Spine CT · sagittal plane, index 104 · 182 mm wide · scan covers 9 annotated vertebrae
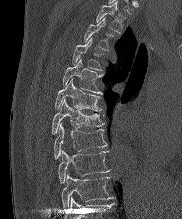
Bounding boxes as [x1, y1, x2, y2] in pixel coordinates.
Labels in this scan begin with T2 at the top and end with T10 at the bottom.
T10: [62, 174, 111, 208]
T9: [58, 150, 109, 183]
T8: [54, 123, 106, 158]
T7: [52, 99, 103, 133]
T6: [55, 79, 101, 111]
T5: [62, 58, 103, 94]
T4: [72, 38, 101, 70]
T3: [84, 18, 113, 50]
T2: [96, 1, 124, 32]